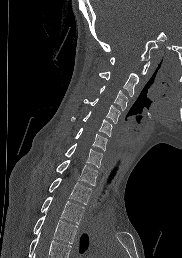
Spine CT · sagittal view · bone-window reconstruction · 182 mm image width
Vertebrae that run past the bottom of the scan are left unlabeled.
<vertebrae><v name="C1" x1="110" y1="57" x2="150" y2="74"/><v name="C2" x1="98" y1="72" x2="138" y2="97"/><v name="C3" x1="99" y1="85" x2="127" y2="110"/><v name="C4" x1="84" y1="98" x2="120" y2="123"/><v name="C5" x1="71" y1="111" x2="112" y2="136"/><v name="C6" x1="74" y1="127" x2="107" y2="150"/><v name="C7" x1="64" y1="143" x2="102" y2="167"/><v name="T1" x1="56" y1="159" x2="97" y2="185"/><v name="T2" x1="49" y1="177" x2="92" y2="204"/><v name="T3" x1="41" y1="197" x2="84" y2="223"/><v name="T4" x1="33" y1="216" x2="77" y2="243"/></vertebrae>